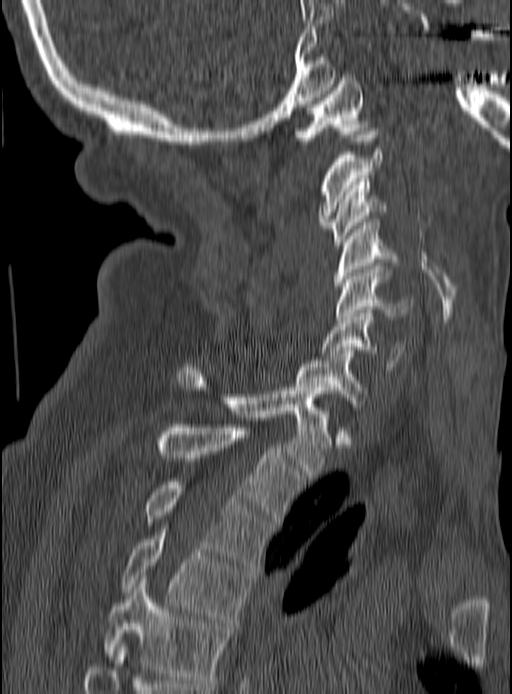

Computed tomography of the spine; sagittal view

Bounding boxes as [x1, y1, x2, y2] in pixel coordinates. 12 vertebrae labeled — T5 at [103, 579, 229, 686]; T4 at [122, 525, 250, 622]; T3 at [144, 482, 272, 568]; T2 at [157, 424, 302, 521]; T1 at [177, 364, 329, 477]; C7 at [295, 350, 369, 403]; C6 at [321, 310, 405, 370]; C5 at [335, 266, 413, 322]; C4 at [335, 222, 399, 289]; C3 at [327, 179, 387, 245]; C2 at [319, 128, 383, 228]; C1 at [292, 77, 370, 144].